Spine computed tomography — sagittal reformat — image width 287 mm
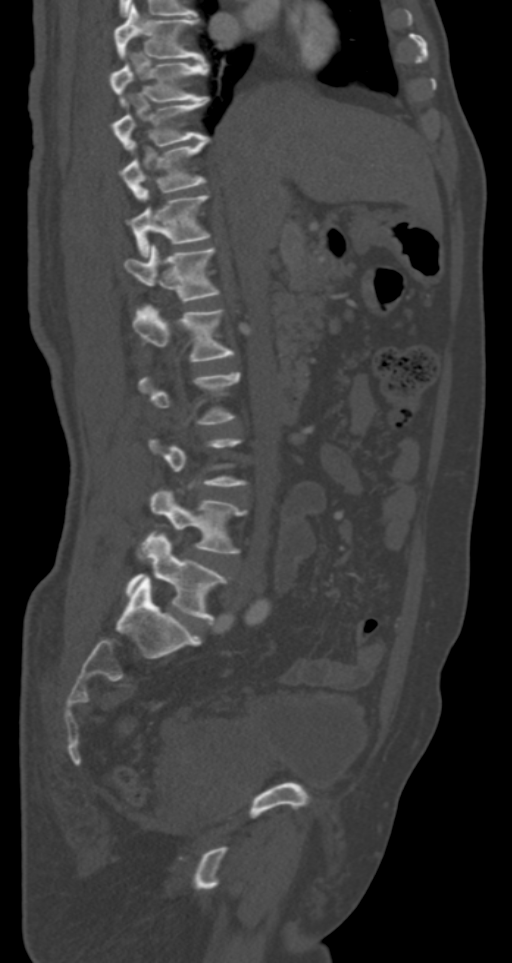
Box edges are left/top/right/bottom in pixels.
A vertebra gets a box only on the slices from the first to the last where its cross-section is at least a third of its largest; on a slice outside that range it gets none.
Vertebra bounding boxes:
- L5: left=126, top=533, right=227, bottom=623
- L4: left=139, top=488, right=247, bottom=558
- L1: left=132, top=302, right=234, bottom=361
- T12: left=124, top=244, right=220, bottom=302
- T11: left=128, top=196, right=211, bottom=257
- T10: left=121, top=137, right=209, bottom=200
- T9: left=112, top=96, right=209, bottom=150
- T8: left=110, top=54, right=207, bottom=105
- T7: left=114, top=4, right=204, bottom=61